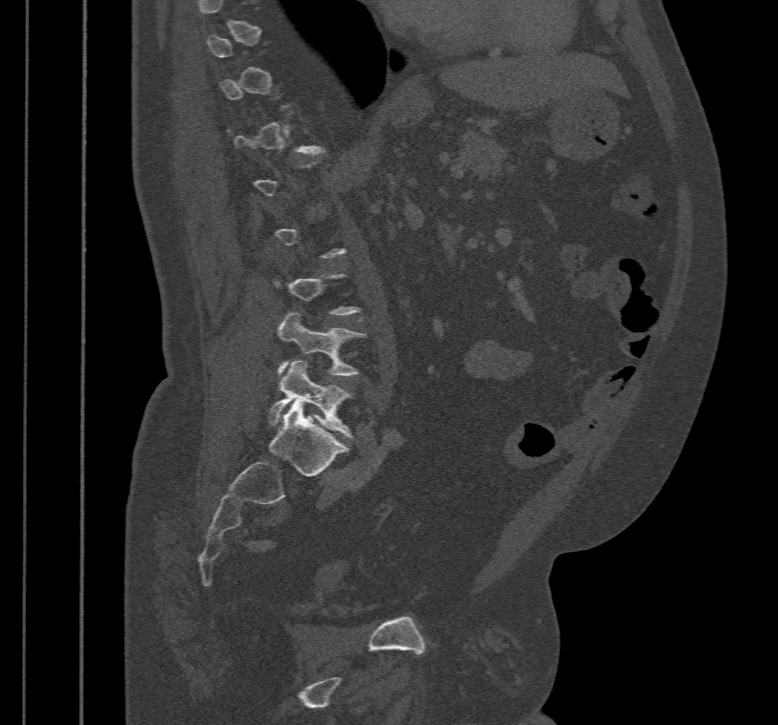
Computed tomography of the spine. 467 mm wide. sagittal view. Boxes are given in columns x1, y1, x2, y2, the pixel coordinates of their top-left and bottom-right corners.
Not every vertebra on this slice has a box: a vertebra is boxed only from the first to the last slice where its cross-section is at least a third of its largest, and this slice is outside that range for at least one of them.
| vertebra | x1 | y1 | x2 | y2 |
|---|---|---|---|---|
| L5 | 266 | 360 | 352 | 438 |
| L4 | 278 | 312 | 365 | 376 |